Spine computed tomography; sagittal reformat; bone window
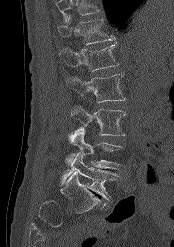

A vertebra cut off by the top edge of the scan is not labeled and has no box.
<vertebrae><v name="L5" x1="61" y1="153" x2="117" y2="200"/><v name="L4" x1="66" y1="128" x2="122" y2="169"/><v name="L3" x1="71" y1="105" x2="126" y2="135"/><v name="L2" x1="66" y1="73" x2="125" y2="102"/><v name="L1" x1="59" y1="43" x2="118" y2="71"/><v name="T12" x1="58" y1="15" x2="115" y2="44"/></vertebrae>